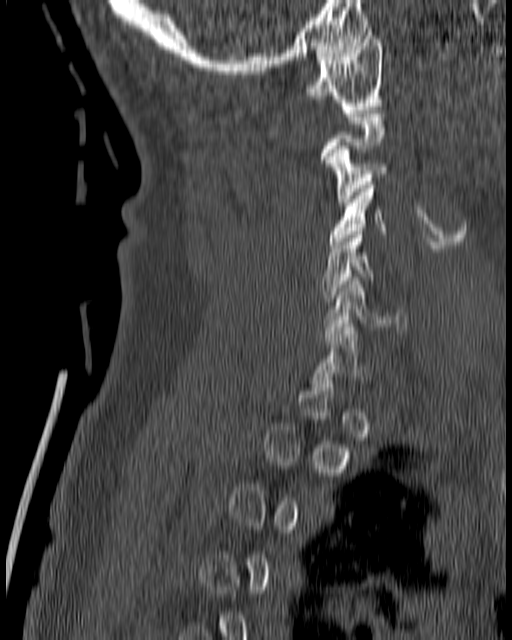 Spine computed tomography. sagittal view. bone-window reconstruction. image width 180 mm
Boxes are (x1, y1, x2, y2) in pixels. Each vertebra is boxed only on the slices from the first to the last where its cross-section reaches a third of its largest, so a slice outside that range leaves it unboxed. The labeled vertebrae in this slice are: C1 at (302, 28, 382, 109), C3 at (324, 146, 395, 205), C4 at (328, 178, 387, 248), C5 at (319, 231, 393, 301), C6 at (322, 277, 406, 337).